CT, spine · sagittal view
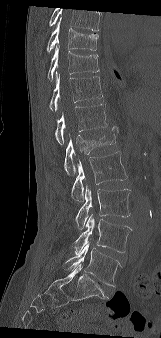
Bounding boxes as [x1, y1, x2, y2] in pixel coordinates. No box is given to a vertebra that the top edge of the scan cuts off. Vertebrae labeled: T9 at [46, 17, 98, 52], T10 at [48, 44, 99, 80], T11 at [49, 71, 103, 111], T12 at [55, 104, 107, 144], L1 at [64, 126, 118, 174], L2 at [71, 151, 127, 201], L3 at [75, 185, 130, 228], L4 at [72, 213, 132, 255], L5 at [63, 241, 121, 286].